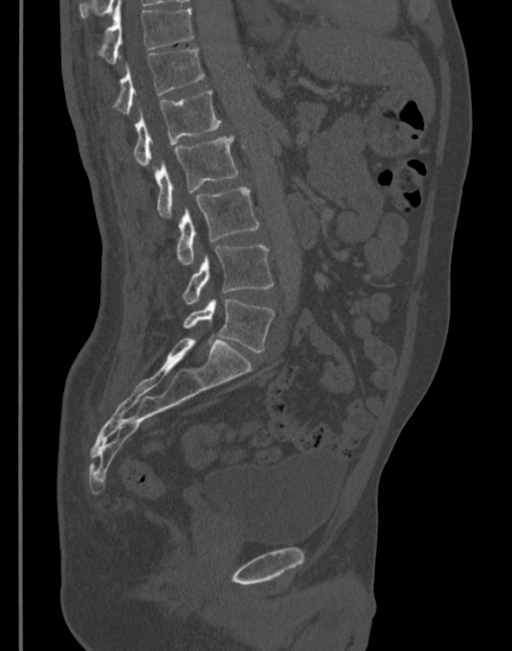

CT. sagittal reformat. image 345 mm wide
Boxes below are [x1, y1, x2, y2] in pixels.
{"vertebrae":{"T11":[99,2,193,63],"T12":[114,49,204,114],"L1":[133,90,221,166],"L2":[156,135,238,220],"L3":[176,188,258,265],"L4":[182,245,273,304],"L5":[184,299,275,352]}}